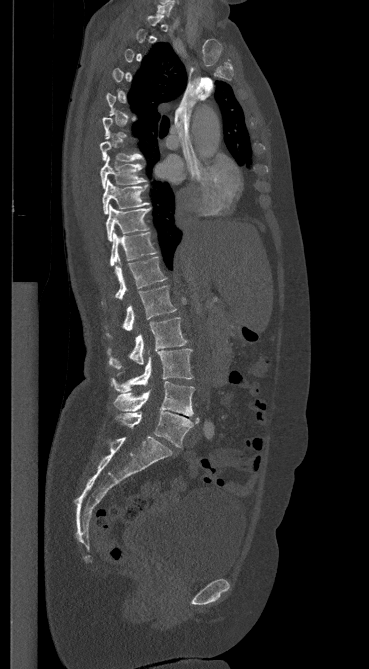 CT spine · sagittal reformat · Bone window (WL 400, WW 1800) · the image spans 369 mm across
A vertebra is boxed only from the first to the last slice where its cross-section is at least a third of its largest; slices outside that range leave it without a box.
<vertebrae><v name="L5" x1="116" y1="411" x2="199" y2="447"/><v name="L4" x1="114" y1="381" x2="194" y2="416"/><v name="L3" x1="110" y1="349" x2="192" y2="392"/><v name="L2" x1="107" y1="317" x2="187" y2="368"/><v name="L1" x1="107" y1="285" x2="176" y2="336"/><v name="T12" x1="101" y1="257" x2="166" y2="304"/><v name="T11" x1="110" y1="231" x2="156" y2="266"/><v name="T10" x1="106" y1="205" x2="151" y2="241"/><v name="T9" x1="102" y1="179" x2="148" y2="214"/><v name="T8" x1="100" y1="156" x2="146" y2="188"/><v name="T7" x1="100" y1="141" x2="142" y2="161"/><v name="C7" x1="156" y1="0" x2="174" y2="15"/></vertebrae>